CT spine · image 350 mm wide · Sagittal slice 256/512 · scan covers 18 annotated vertebrae
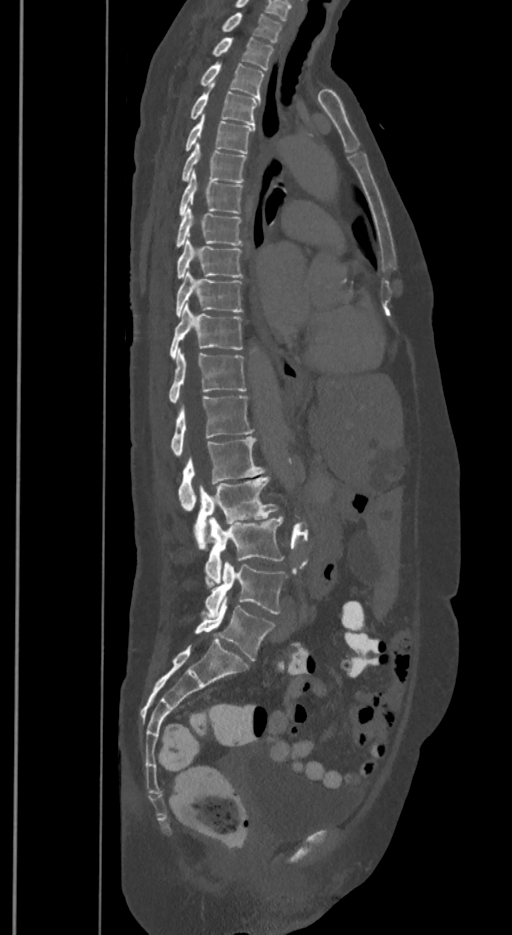

Each box given as x1,y1,x2,y2.
The labels name a sixth lumbar vertebra for this spine: L6, after L5.
| vertebra | x1 | y1 | x2 | y2 |
|---|---|---|---|---|
| T1 | 222 | 12 | 281 | 42 |
| T2 | 212 | 37 | 272 | 69 |
| T3 | 200 | 63 | 264 | 98 |
| T4 | 190 | 83 | 259 | 125 |
| T5 | 186 | 116 | 253 | 153 |
| T6 | 181 | 142 | 246 | 182 |
| T7 | 180 | 170 | 243 | 216 |
| T8 | 175 | 207 | 242 | 247 |
| T9 | 177 | 238 | 243 | 278 |
| T10 | 175 | 271 | 243 | 316 |
| T11 | 169 | 303 | 243 | 358 |
| T12 | 169 | 350 | 246 | 403 |
| L1 | 171 | 396 | 253 | 456 |
| L2 | 178 | 437 | 264 | 510 |
| L3 | 194 | 477 | 277 | 549 |
| L4 | 205 | 516 | 284 | 588 |
| L5 | 205 | 562 | 287 | 616 |
| L6 | 195 | 595 | 274 | 660 |